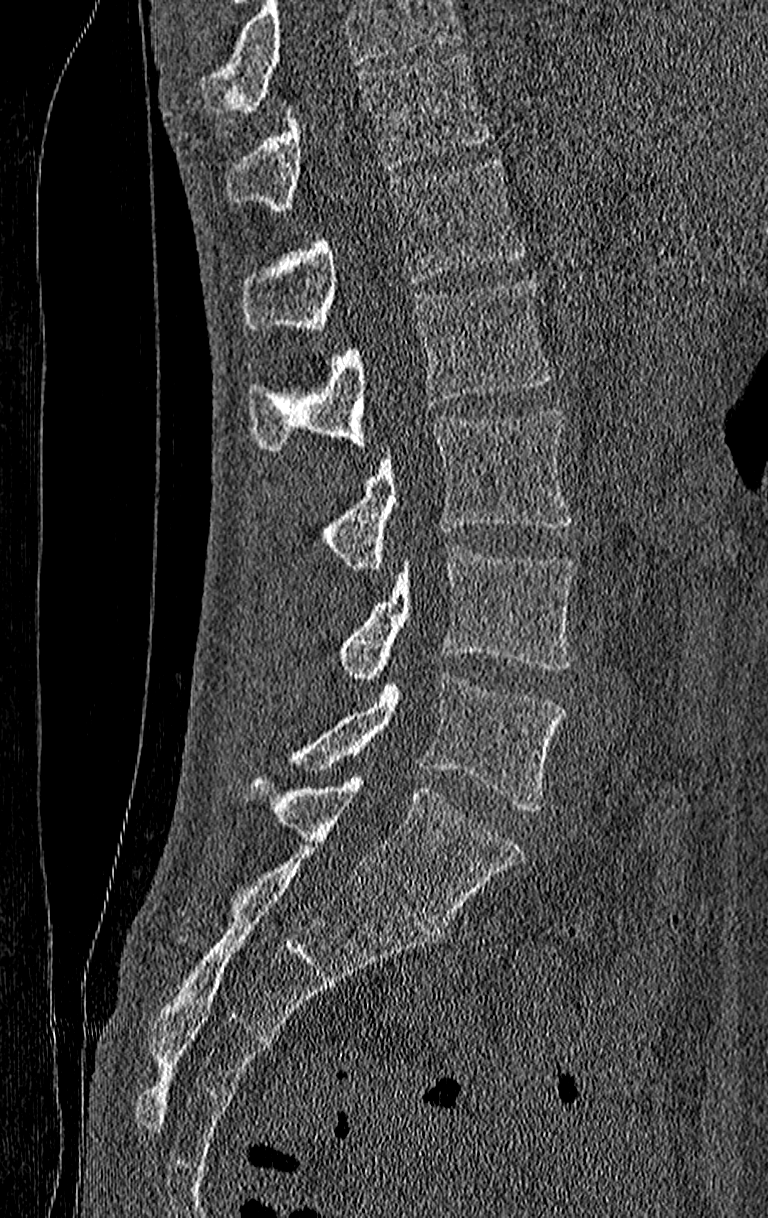
CT, spine — sagittal reformat — 768x1218 px. Each row gives a vertebra's box as x1, y1, x2, y2 in pixels: top-left corner, then bottom-right corner.
A vertebra cut off by the top edge of the scan is not labeled and has no box.
Labels in this scan begin with T11 at the top and end with L4 at the bottom.
| vertebra | x1 | y1 | x2 | y2 |
|---|---|---|---|---|
| L4 | 288 | 673 | 565 | 812 |
| L3 | 339 | 546 | 575 | 680 |
| L2 | 320 | 410 | 575 | 570 |
| L1 | 247 | 278 | 550 | 453 |
| T12 | 244 | 158 | 524 | 333 |
| T11 | 225 | 53 | 488 | 211 |